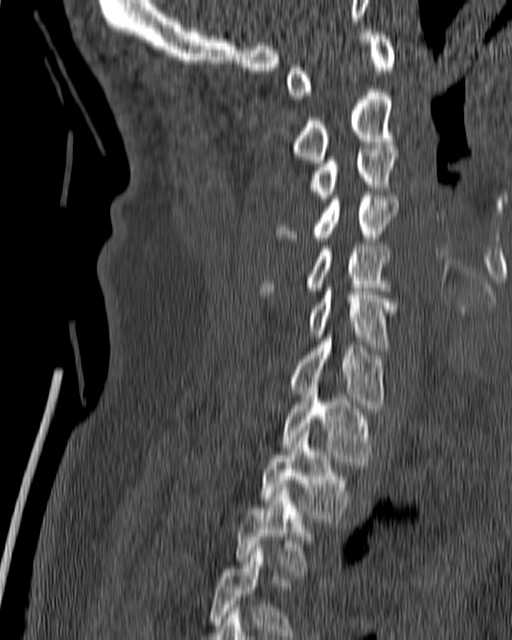 CT, spine. sagittal reformat. 512x640 px. 180 mm image width
Each vertebra maps to its box as [x1, y1, x2, y2], the pixel coordinates of its top-left and bottom-right corners.
Not every vertebra on this slice has a box: a vertebra is boxed only from the first to the last slice where its cross-section is at least a third of its largest, and this slice is outside that range for at least one of them.
{"vertebrae":{"C1":[285,28,395,99],"C2":[294,89,394,163],"C3":[311,146,398,202],"C4":[275,192,399,241],"C5":[259,245,390,294],"C6":[308,284,395,347],"C7":[291,334,384,408],"T1":[283,384,370,465],"T2":[259,430,347,522],"T3":[237,484,310,575]}}